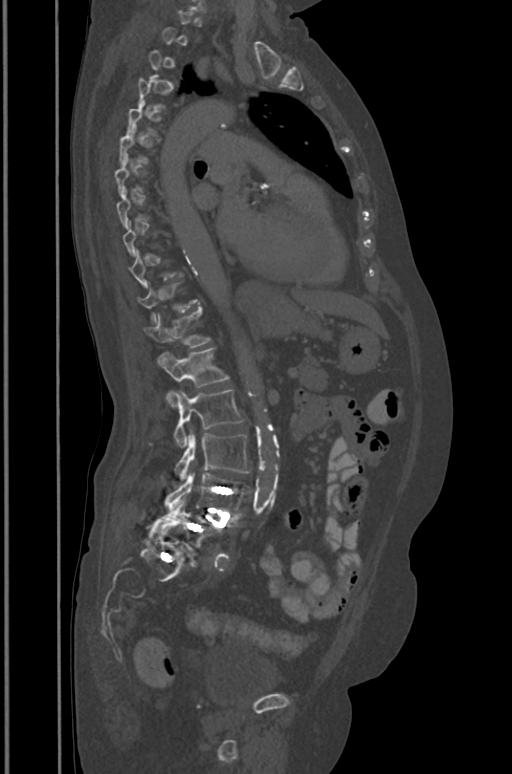

Spine computed tomography · the image is 391 mm wide · sagittal view · 512x774 px
A vertebra is boxed only from the first to the last slice where its cross-section is at least a third of its largest; slices outside that range leave it without a box.
<vertebrae><v name="T11" x1="139" y1="282" x2="198" y2="323"/><v name="T12" x1="145" y1="310" x2="210" y2="347"/><v name="L1" x1="158" y1="348" x2="228" y2="406"/><v name="L2" x1="149" y1="390" x2="243" y2="447"/><v name="L3" x1="174" y1="428" x2="249" y2="479"/><v name="L4" x1="165" y1="473" x2="249" y2="514"/><v name="L5" x1="151" y1="500" x2="223" y2="550"/></vertebrae>